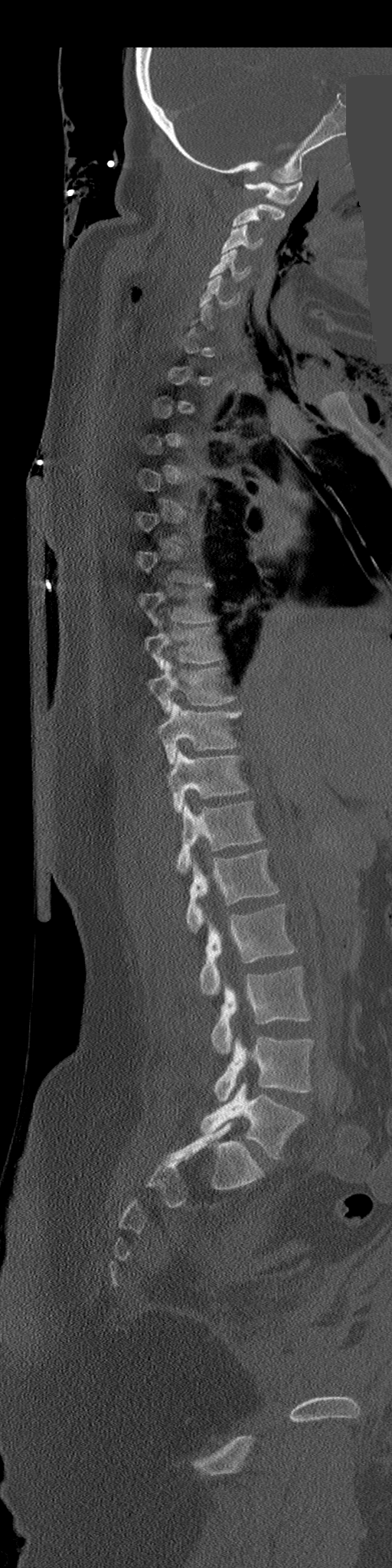
CT spine; sagittal view; 392x1568 px; part of the image has been replaced by a constant value
Each box is [x1, y1, x2, y2] in pixels: top-left corner, then bottom-right corner.
Each vertebra is boxed only on the slices from the first to the last where its cross-section reaches a third of its largest, so a slice outside that range leaves it unboxed.
{"vertebrae":{"L5":[201,1083,304,1158],"L4":[214,1036,312,1102],"L3":[212,967,310,1054],"L2":[201,904,295,995],"L1":[185,849,278,933],"T12":[175,802,263,871],"T11":[166,750,249,812],"T10":[157,703,241,765],"T9":[149,661,234,711],"T8":[145,626,220,670],"T7":[139,583,211,624],"C5":[199,275,232,307],"C4":[209,250,250,282],"C3":[220,224,263,253],"C2":[233,204,286,227],"C1":[244,181,302,205]}}